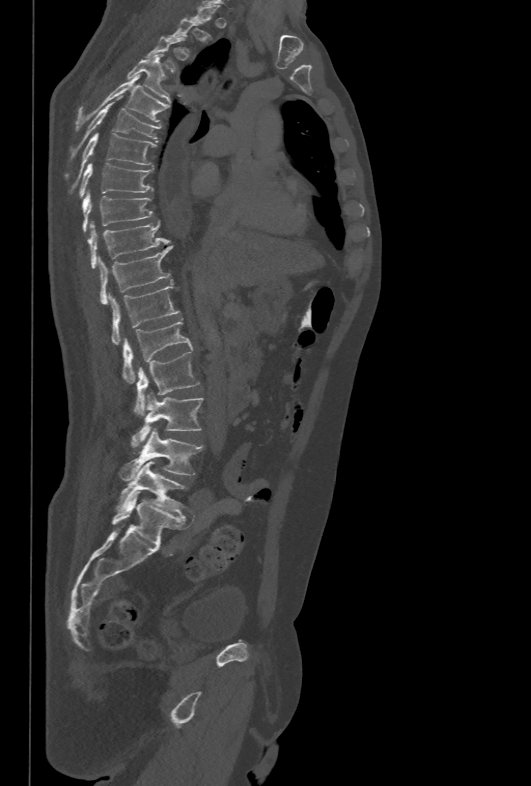

CT, spine. sagittal view. bone-window reconstruction
Boxes: x1:y1:x2:y2 in pixels. Each vertebra is boxed only on the slices from the first to the last where its cross-section reaches a third of its largest, so a slice outside that range leaves it unboxed. The labeled vertebrae in this slice are: L5 at 115:462:187:514, L4 at 120:428:202:481, L3 at 136:393:203:441, L2 at 135:350:200:415, L1 at 122:319:192:382, T12 at 110:283:181:344, T11 at 100:246:172:304, T10 at 88:220:168:268, T9 at 82:192:153:233, T8 at 79:163:153:198, T7 at 64:133:156:184, T6 at 70:96:160:159, T5 at 76:75:169:129, T4 at 127:54:170:102.